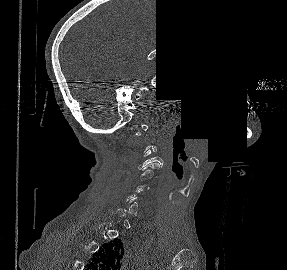 Computed tomography of the spine · sagittal view · bone-window reconstruction · part of the image has been replaced by a constant value
Box edges are left/top/right/bottom in pixels.
A vertebra gets a box only on the slices from the first to the last where its cross-section is at least a third of its largest; on a slice outside that range it gets none.
| vertebra | x1 | y1 | x2 | y2 |
|---|---|---|---|---|
| C3 | 138 | 150 | 163 | 169 |
| C4 | 140 | 163 | 159 | 180 |